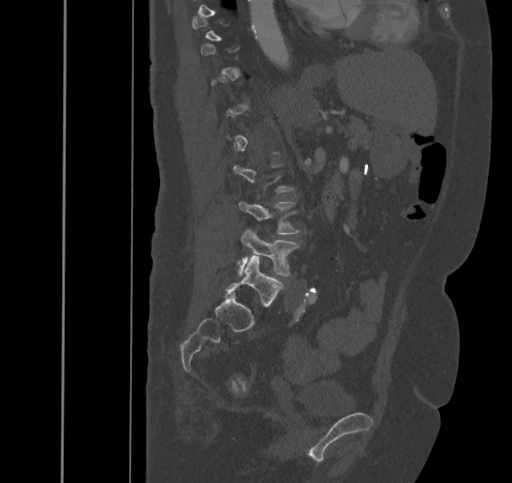

CT spine. sagittal view. W/L 1800/400 HU
Not every vertebra on this slice has a box: a vertebra is boxed only from the first to the last slice where its cross-section is at least a third of its largest, and this slice is outside that range for at least one of them.
<vertebrae><v name="L4" x1="238" y1="230" x2="298" y2="275"/><v name="L5" x1="225" y1="255" x2="282" y2="306"/></vertebrae>